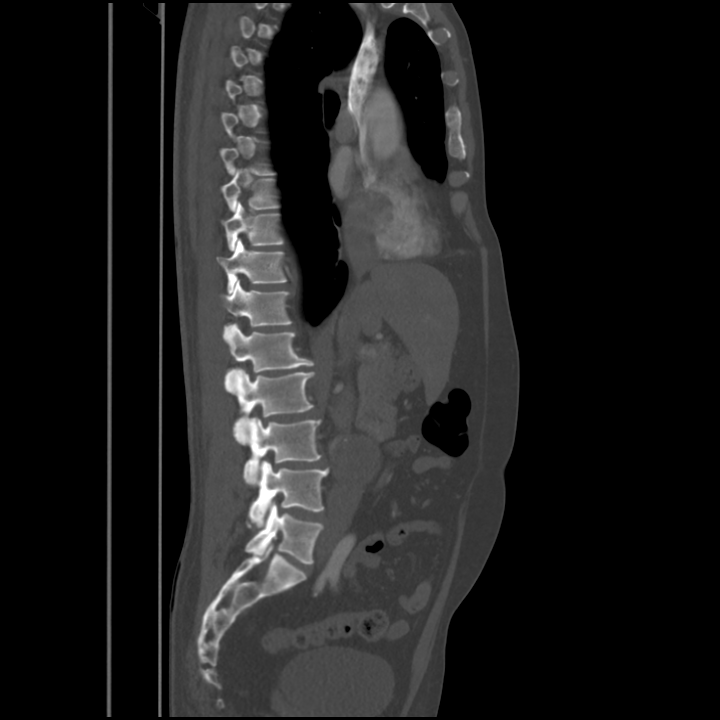 Spine CT; sagittal reformat; the image spans 563 mm across. Each box given as x1,y1,x2,y2.
A vertebra is boxed only from the first to the last slice where its cross-section is at least a third of its largest; slices outside that range leave it without a box.
Vertebra bounding boxes:
- L5: x1=246, y1=503, x2=323, y2=563
- L4: x1=249, y1=461, x2=328, y2=527
- L3: x1=243, y1=417, x2=321, y2=485
- L2: x1=233, y1=368, x2=315, y2=446
- L1: x1=224, y1=324, x2=314, y2=393
- T12: x1=220, y1=280, x2=292, y2=336
- T11: x1=216, y1=239, x2=287, y2=293
- T10: x1=223, y1=202, x2=283, y2=251
- T9: x1=221, y1=171, x2=278, y2=211